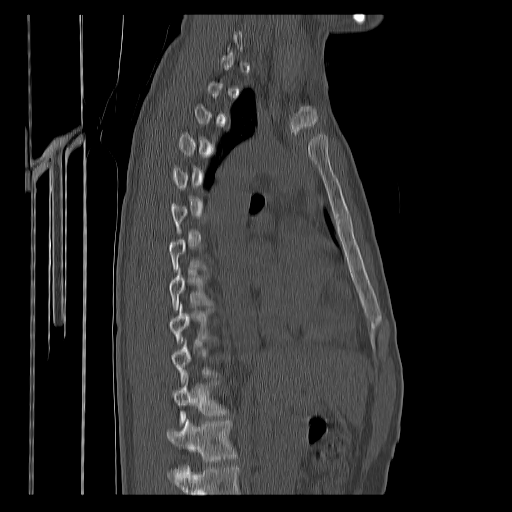

Computed tomography of the spine. sagittal view
A vertebra is boxed only from the first to the last slice where its cross-section is at least a third of its largest; slices outside that range leave it without a box.
Vertebrae that run past the bottom of the scan are left unlabeled.
<vertebrae><v name="T11" x1="173" y1="374" x2="227" y2="424"/><v name="T12" x1="167" y1="419" x2="237" y2="477"/></vertebrae>